CT, spine — sagittal view — 512x759 px — 461 mm wide
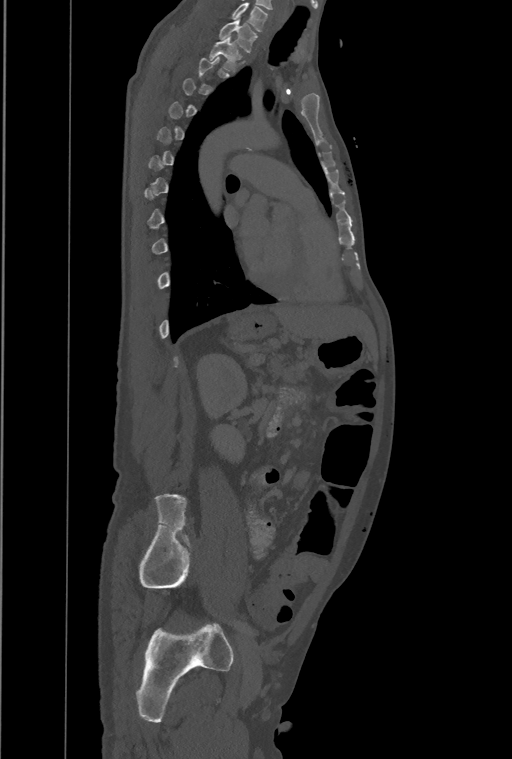 Each vertebra is boxed only on the slices from the first to the last where its cross-section reaches a third of its largest, so a slice outside that range leaves it unboxed.
In this scan, the topmost labeled vertebra is T1 and the lowest is L4.
<vertebrae><v name="T1" x1="219" y1="18" x2="257" y2="53"/><v name="T2" x1="209" y1="36" x2="242" y2="71"/></vertebrae>